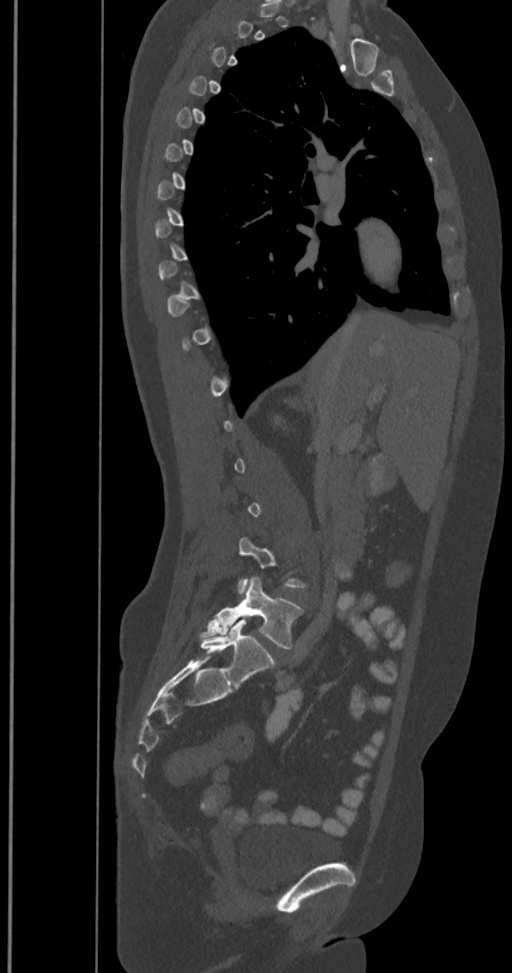

Spine computed tomography. 350 mm image width. sagittal view
A vertebra is boxed only from the first to the last slice where its cross-section is at least a third of its largest; slices outside that range leave it without a box.
The labels name a sixth lumbar vertebra for this spine: L6, after L5.
<vertebrae><v name="L6" x1="200" y1="619" x2="274" y2="685"/><v name="L5" x1="200" y1="577" x2="302" y2="649"/></vertebrae>